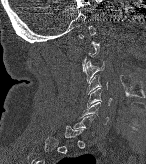 CT, spine; sagittal view; W/L 1800/400 HU

Boxes: x1:y1:x2:y2 in pixels. Each vertebra is boxed only on the slices from the first to the last where its cross-section reaches a third of its largest, so a slice outside that range leaves it unboxed. The labeled vertebrae in this slice are: C6 at 80:102:108:125, C5 at 87:88:111:107, C4 at 87:75:108:94, C3 at 84:61:104:81.